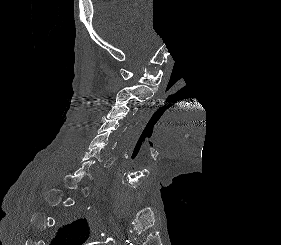

Spine CT — sagittal view — bone-window reconstruction — 281 mm image width — part of the image has been replaced by a constant value
Boxes: x1 y1 x2 y2 (pixel coords, space-separated).
Each vertebra is boxed only on the slices from the first to the last where its cross-section reaches a third of its largest, so a slice outside that range leaves it unboxed.
C1: 120 67 162 91
C2: 114 85 155 104
C3: 107 101 137 119
C4: 98 116 126 133
C5: 88 131 117 148
C6: 80 145 115 166